Computed tomography of the spine. sagittal plane, index 323. bone-window reconstruction
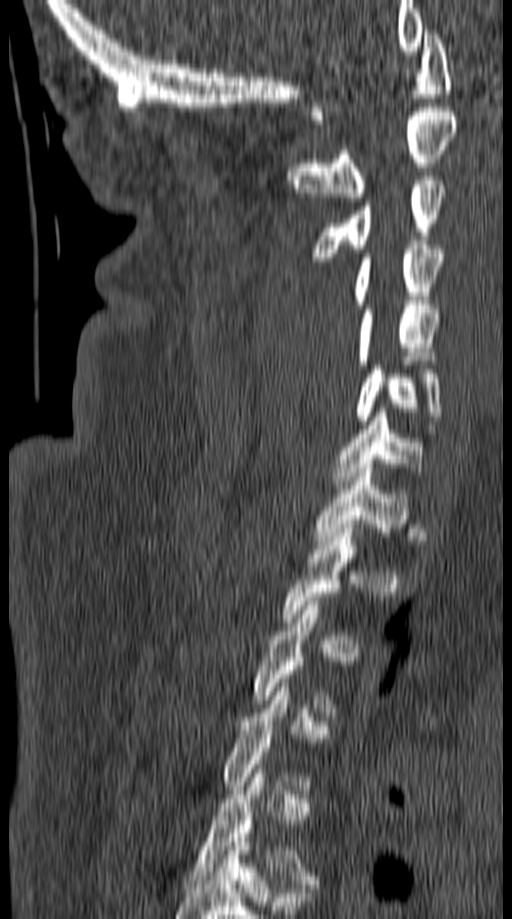

A vertebra gets a box only on the slices from the first to the last where its cross-section is at least a third of its largest; on a slice outside that range it gets none.
<vertebrae><v name="C1" x1="309" y1="30" x2="451" y2="119"/><v name="C2" x1="286" y1="107" x2="457" y2="201"/><v name="C3" x1="311" y1="176" x2="446" y2="261"/><v name="C4" x1="352" y1="241" x2="447" y2="308"/><v name="C5" x1="355" y1="305" x2="440" y2="364"/><v name="C6" x1="355" y1="365" x2="442" y2="424"/><v name="C7" x1="333" y1="408" x2="423" y2="489"/><v name="T1" x1="314" y1="464" x2="409" y2="545"/></vertebrae>